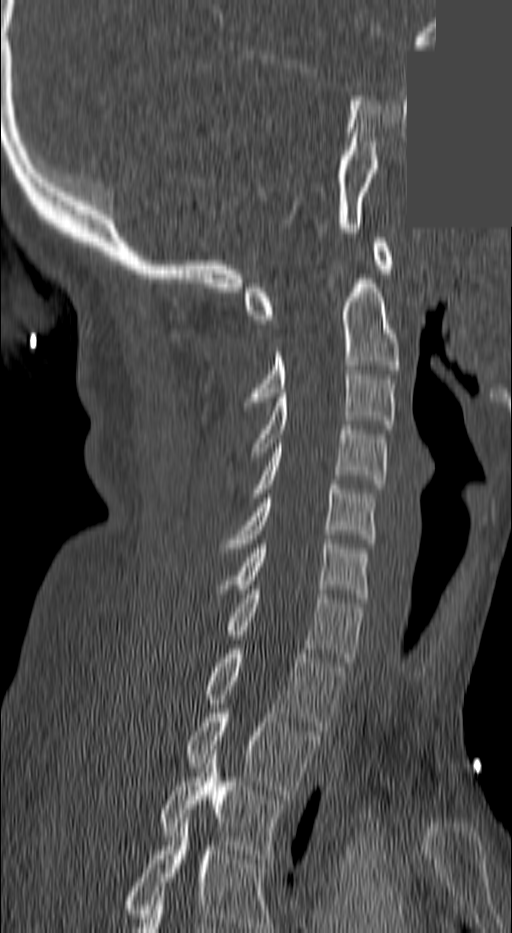
Computed tomography of the spine · sagittal view · part of the image is a flat gray fill, not anatomy
This scan's labels start at C1 at the top and end at T3 at the bottom.
<vertebrae><v name="T3" x1="162" y1="750" x2="282" y2="858"/><v name="T2" x1="188" y1="709" x2="318" y2="794"/><v name="T1" x1="206" y1="649" x2="344" y2="730"/><v name="C7" x1="228" y1="590" x2="362" y2="662"/><v name="C6" x1="239" y1="539" x2="370" y2="598"/><v name="C5" x1="221" y1="485" x2="373" y2="552"/><v name="C4" x1="249" y1="425" x2="388" y2="497"/><v name="C3" x1="250" y1="370" x2="395" y2="456"/><v name="C2" x1="244" y1="283" x2="399" y2="406"/><v name="C1" x1="246" y1="238" x2="392" y2="324"/></vertebrae>